Computed tomography of the spine; sagittal view; 461 mm image width; Bone window (WL 400, WW 1800)
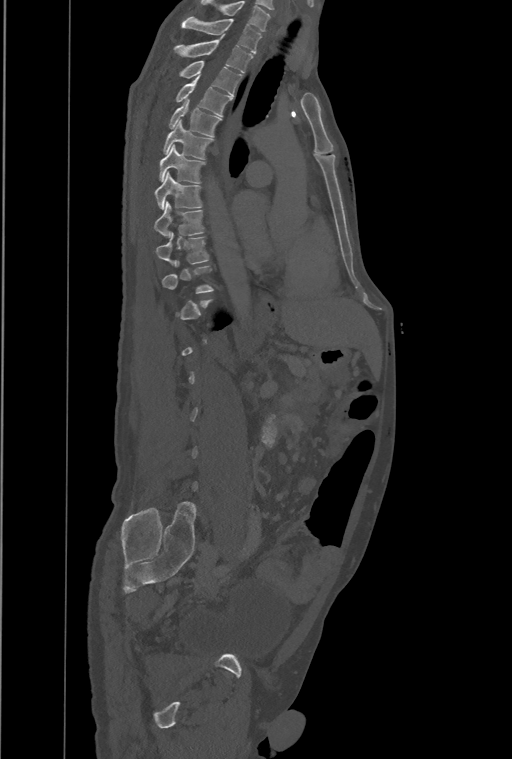
Each vertebra is boxed only on the slices from the first to the last where its cross-section reaches a third of its largest, so a slice outside that range leaves it unboxed.
In this scan, the topmost labeled vertebra is T1 and the lowest is L4.
<vertebrae><v name="T1" x1="182" y1="17" x2="260" y2="54"/><v name="T2" x1="174" y1="35" x2="253" y2="73"/><v name="T3" x1="179" y1="60" x2="242" y2="95"/><v name="T4" x1="176" y1="76" x2="232" y2="116"/><v name="T5" x1="168" y1="99" x2="222" y2="136"/><v name="T6" x1="163" y1="121" x2="213" y2="159"/><v name="T7" x1="160" y1="145" x2="204" y2="183"/><v name="T8" x1="154" y1="172" x2="202" y2="209"/><v name="T9" x1="154" y1="201" x2="203" y2="236"/><v name="T10" x1="155" y1="232" x2="208" y2="265"/></vertebrae>